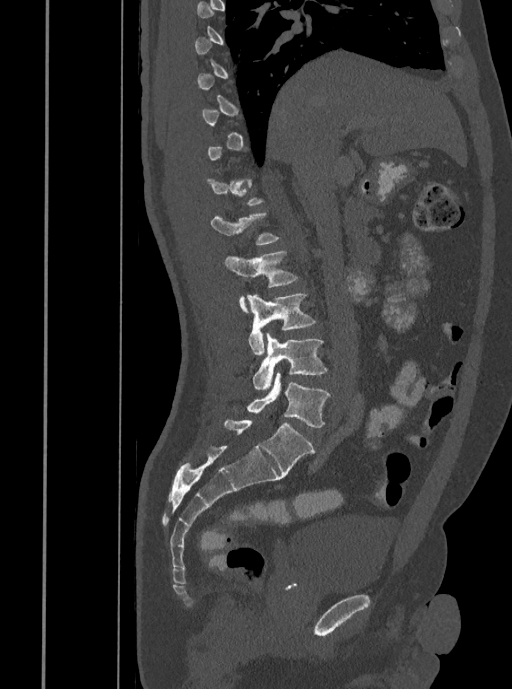
CT, spine · sagittal view · Bone window (WL 400, WW 1800) · 408 mm image width · 512x689 px
Boxes: x1 y1 x2 y2 (pixel coords, space-separated).
Not every vertebra on this slice has a box: a vertebra is boxed only from the first to the last slice where its cross-section is at least a third of its largest, and this slice is outside that range for at least one of them.
Vertebra bounding boxes:
- L5: 246 373 330 427
- L4: 252 333 328 390
- L3: 247 294 316 355
- L2: 224 251 298 312
- L1: 211 212 279 245